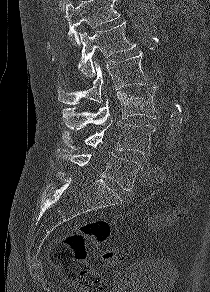 Computed tomography of the spine; sagittal reformat
Boxes: x1 y1 x2 y2 (pixel coords, space-separated). No box is given to a vertebra that the top edge of the scan cuts off. 5 vertebrae labeled — L1 at 52 21 135 77; L2 at 58 51 147 104; L3 at 62 87 159 129; L4 at 62 120 155 155; L5 at 56 149 140 191.